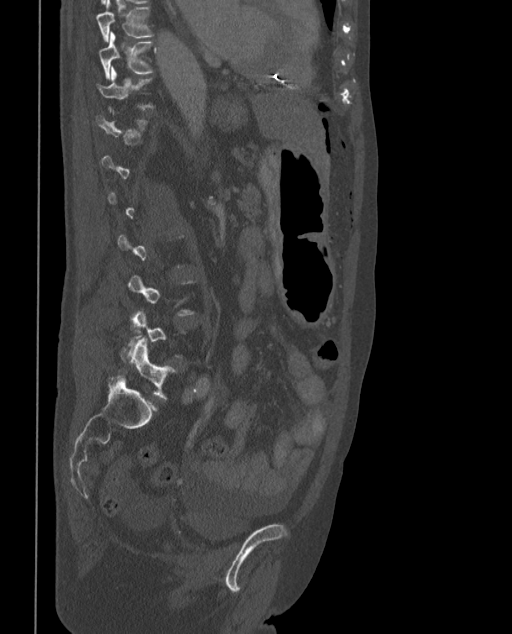

CT. sagittal view. 512x634 px
A vertebra is boxed only from the first to the last slice where its cross-section is at least a third of its largest; slices outside that range leave it without a box.
In these labels the spine has an L6, a sixth lumbar vertebra below L5.
<vertebrae><v name="T9" x1="96" y1="0" x2="154" y2="41"/><v name="T10" x1="99" y1="32" x2="155" y2="79"/><v name="T11" x1="97" y1="67" x2="154" y2="110"/><v name="L6" x1="119" y1="338" x2="176" y2="399"/></vertebrae>